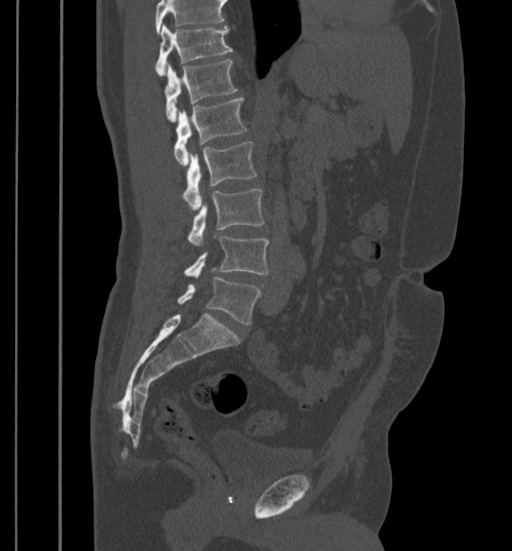
CT. sagittal reformat. 512x551 px
Box edges are left/top/right/bottom in pixels.
Vertebrae that run past the top of the scan are left unlabeled.
| vertebra | x1 | y1 | x2 | y2 |
|---|---|---|---|---|
| T11 | 155 | 25 | 232 | 76 |
| T12 | 164 | 60 | 236 | 122 |
| L1 | 174 | 98 | 247 | 165 |
| L2 | 183 | 142 | 257 | 209 |
| L3 | 188 | 188 | 264 | 246 |
| L4 | 185 | 236 | 268 | 277 |
| L5 | 177 | 277 | 261 | 324 |